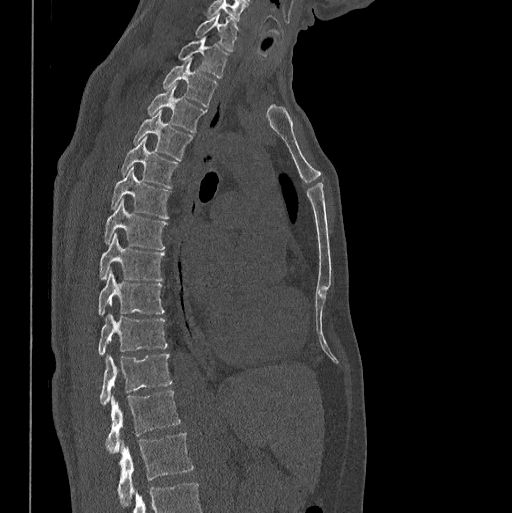
Computed tomography of the spine; sagittal view
Box edges are left/top/right/bottom in pixels. In this scan, the topmost labeled vertebra is C7 and the lowest is L1. 14 vertebrae labeled — C7 at left=195, top=13, right=237, bottom=51; T1 at left=177, top=38, right=228, bottom=79; T2 at left=162, top=60, right=218, bottom=107; T3 at left=147, top=86, right=206, bottom=132; T4 at left=132, top=110, right=193, bottom=161; T5 at left=121, top=135, right=179, bottom=188; T6 at left=110, top=167, right=171, bottom=219; T7 at left=104, top=199, right=167, bottom=249; T8 at left=99, top=234, right=165, bottom=280; T9 at left=98, top=272, right=165, bottom=315; T10 at left=98, top=314, right=167, bottom=354; T11 at left=100, top=353, right=171, bottom=404; T12 at left=105, top=390, right=180, bottom=453; L1 at left=117, top=433, right=193, bottom=503.